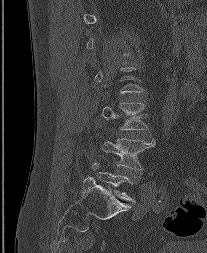
CT, spine · 207 mm wide · sagittal view · 207x253 px

Not every vertebra on this slice has a box: a vertebra is boxed only from the first to the last slice where its cross-section is at least a third of its largest, and this slice is outside that range for at least one of them.
<vertebrae><v name="L3" x1="102" y1="103" x2="147" y2="129"/><v name="L4" x1="102" y1="138" x2="154" y2="170"/></vertebrae>